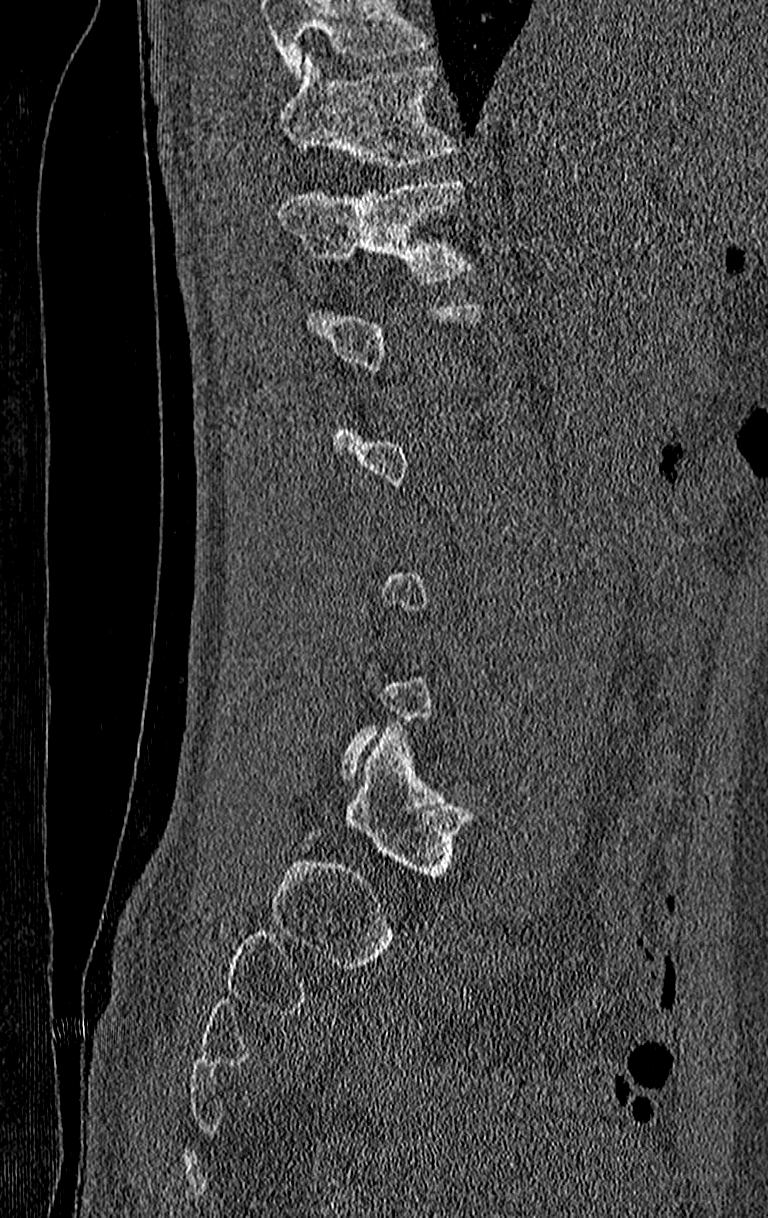

Spine CT; sagittal view; Bone window (WL 400, WW 1800); 210 mm across the image

Box values are [left, top, right, bottom] in pixels.
Each vertebra is boxed only on the slices from the first to the last where its cross-section reaches a third of its largest, so a slice outside that range leaves it unboxed.
Where the top of the scan cuts through a vertebra, that vertebra gets no label or box.
{"vertebrae":{"T12":[280,179,473,282],"T11":[280,56,455,169]}}